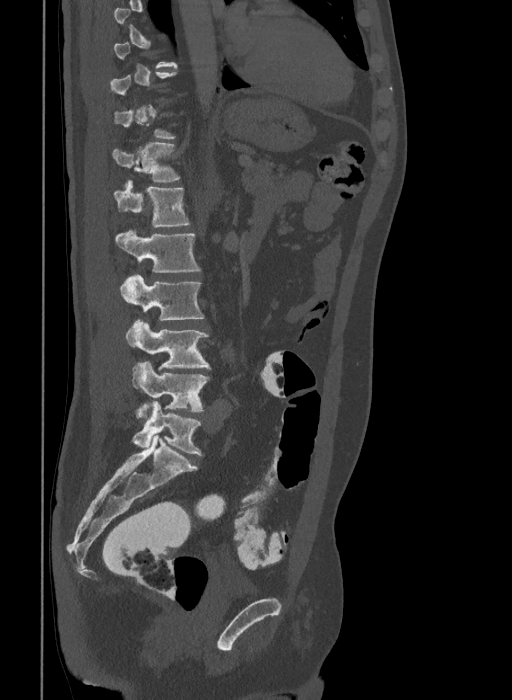
CT · 409 mm image width · sagittal view
Coordinates as <box>x1,y1,x2,y2</box>.
A vertebra is boxed only from the first to the last slice where its cross-section is at least a third of its largest; slices outside that range leave it without a box.
In these labels the spine has an L6, a sixth lumbar vertebra below L5.
T12: <box>112,142,179,182</box>
L1: <box>114,180,189,227</box>
L2: <box>115,229,200,272</box>
L3: <box>120,274,204,320</box>
L4: <box>126,319,210,370</box>
L5: <box>131,362,209,411</box>
L6: <box>132,401,203,455</box>